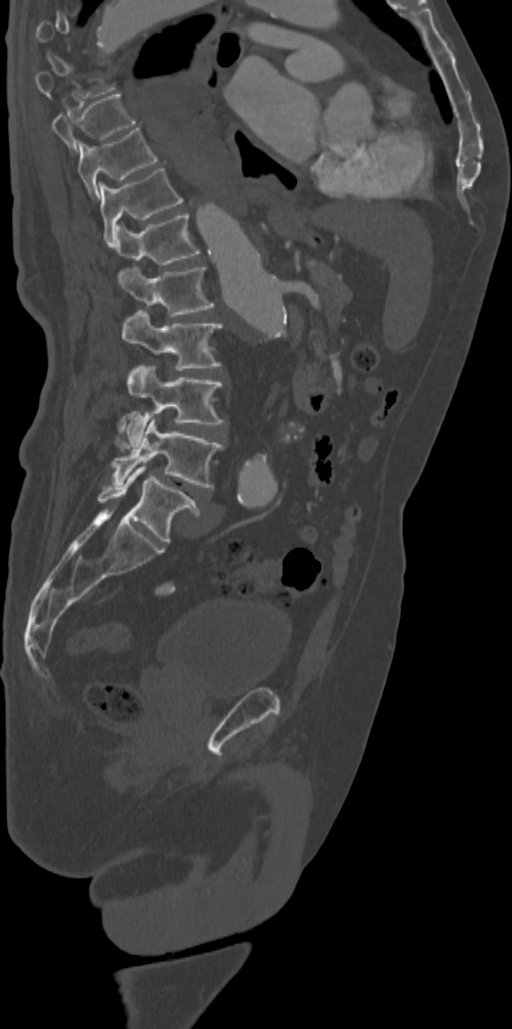 CT · sagittal reformat · 512x1029 px

Each box given as x1,y1,x2,y2. Each vertebra is boxed only on the slices from the first to the last where its cross-section reaches a third of its largest, so a slice outside that range leaves it unboxed. Vertebrae labeled: T9 at x1=51, y1=94, x2=135, y2=154, T10 at x1=78, y1=126, x2=158, y2=199, T11 at x1=99, y1=166, x2=183, y2=246, T12 at x1=115, y1=213, x2=199, y2=264, L1 at x1=118, y1=265, x2=214, y2=316, L2 at x1=121, y1=310, x2=222, y2=370, L3 at x1=127, y1=364, x2=223, y2=446, L4 at x1=112, y1=418, x2=223, y2=486, L5 at x1=97, y1=465, x2=199, y2=543.